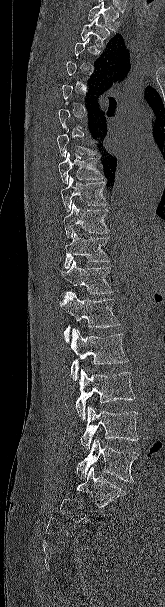
Spine computed tomography. sagittal view. bone window. 165x607 px. the image is 165 mm wide

Boxes: x1:y1:x2:y2 in pixels.
Not every vertebra on this slice has a box: a vertebra is boxed only from the first to the last slice where its cross-section is at least a third of its largest, and this slice is outside that range for at least one of them.
A vertebra cut off by the top edge of the scan is not labeled and has no box.
Vertebra bounding boxes:
- T2: 81:17:110:47
- T8: 58:152:103:184
- T9: 60:176:107:212
- T10: 63:203:109:238
- T11: 64:231:110:268
- T12: 61:260:114:294
- L1: 59:291:120:342
- L2: 70:328:128:380
- L3: 75:369:135:419
- L4: 80:406:138:450
- L5: 76:439:138:482